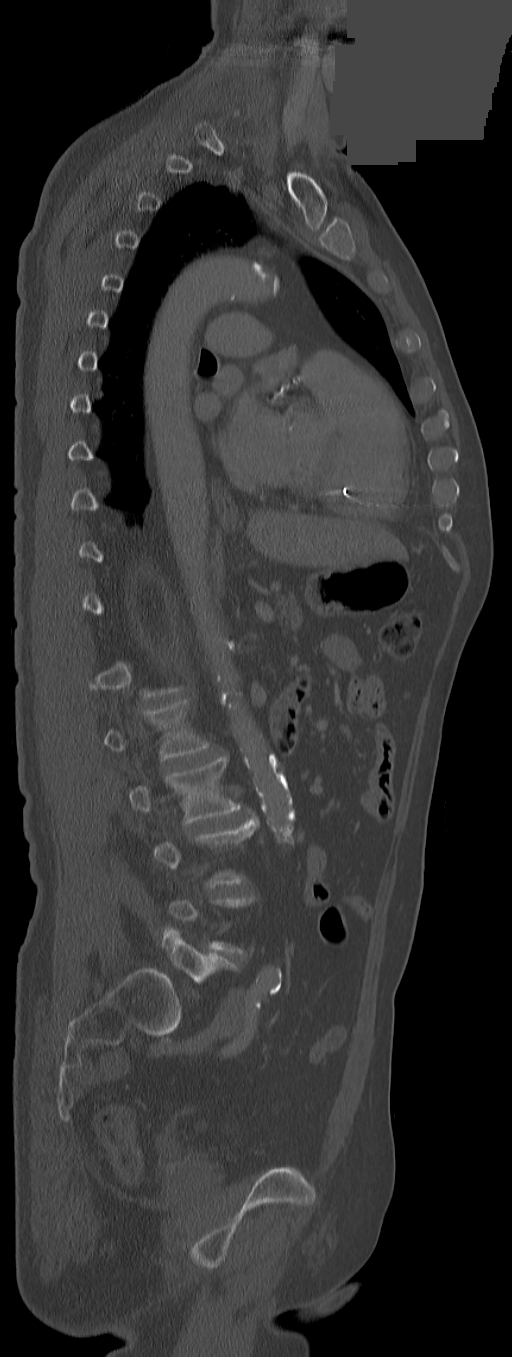
Spine computed tomography · sagittal view · part of the image is a flat gray fill, not anatomy. Boxes are given in columns x1, y1, x2, y2, the pixel coordinates of their top-left and bottom-right corners.
A vertebra is boxed only from the first to the last slice where its cross-section is at least a third of its largest; slices outside that range leave it without a box.
| vertebra | x1 | y1 | x2 | y2 |
|---|---|---|---|---|
| L1 | 104 | 699 | 209 | 760 |
| L2 | 129 | 755 | 240 | 825 |
| L5 | 162 | 928 | 236 | 981 |